Spine CT · sagittal reformat · Bone window (WL 400, WW 1800) · 512x827 px
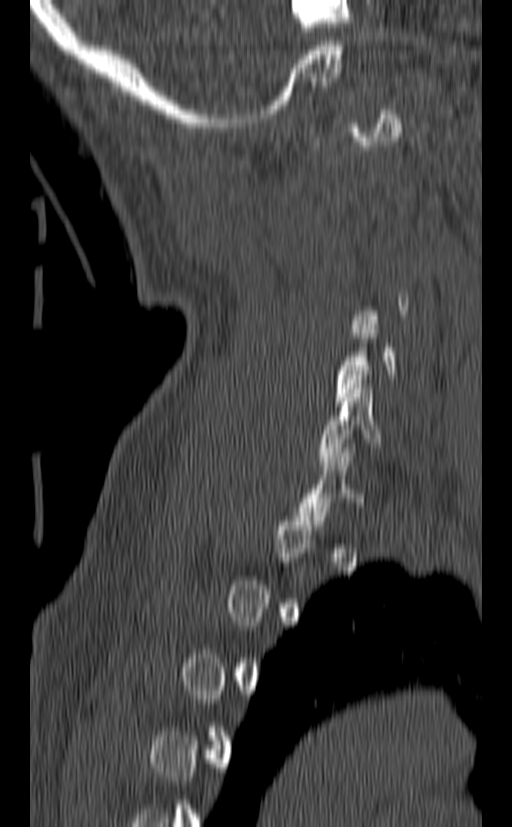
Bounding boxes as [x1, y1, x2, y2] in pixel coordinates.
A vertebra gets a box only on the slices from the first to the last where its cross-section is at least a third of its largest; on a slice outside that range it gets none.
C5: [334, 325, 395, 406]
C6: [320, 384, 382, 465]